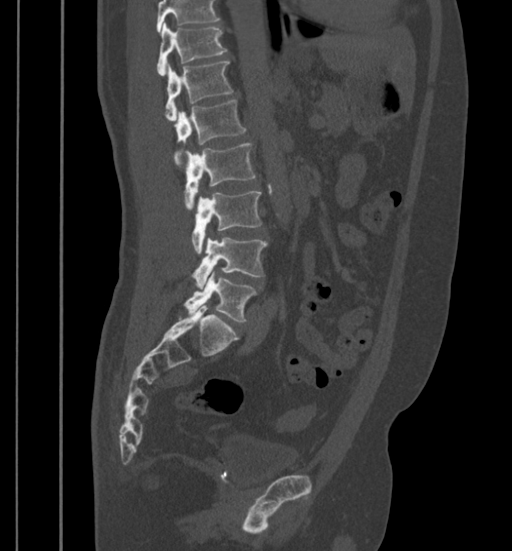 CT spine — sagittal view — the image is 399 mm wide
Each vertebra maps to its box as [x1, y1, x2, y2], the pixel coordinates of its top-left and bottom-right corners.
A vertebra cut off by the top edge of the scan is not labeled and has no box.
{"vertebrae":{"T11":[156,23,226,76],"T12":[165,62,232,120],"L1":[174,100,245,166],"L2":[185,144,255,209],"L3":[192,191,262,253],"L4":[192,237,267,287],"L5":[185,270,257,322]}}